Computed tomography of the spine; the image spans 412 mm across; sagittal reformat; Bone window (WL 400, WW 1800)
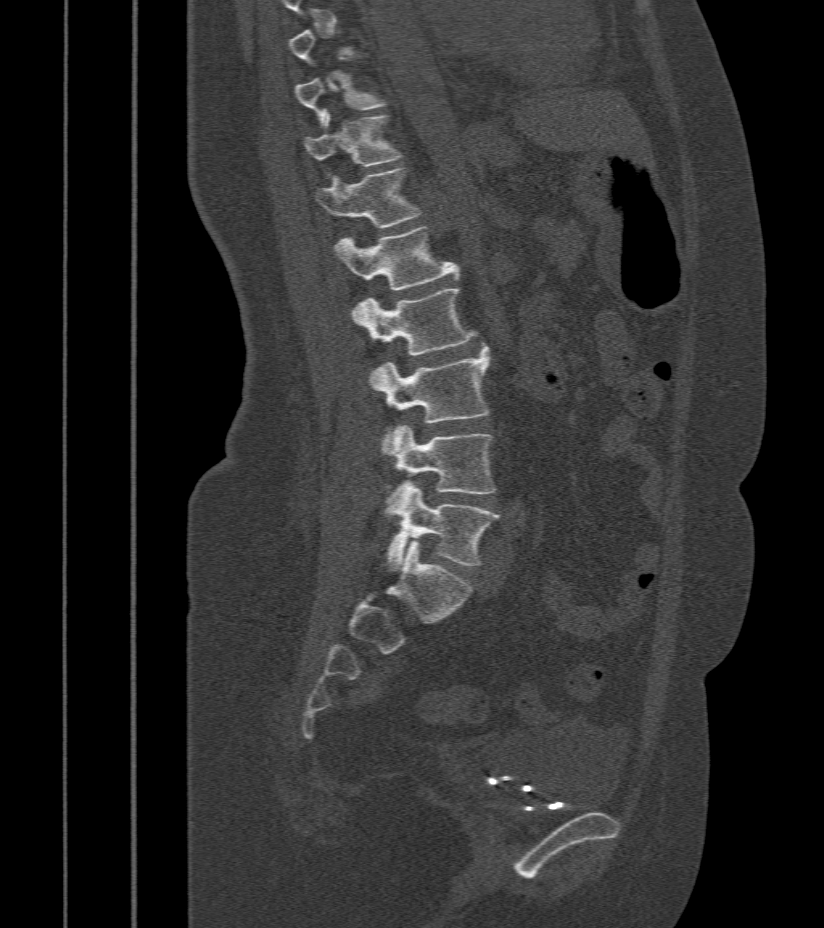 Bounding boxes as [x1, y1, x2, y2] in pixel coordinates. A vertebra is boxed only from the first to the last slice where its cross-section is at least a third of its largest; slices outside that range leave it without a box. Vertebrae labeled: L5 at [388, 483, 500, 568], L4 at [386, 425, 496, 514], L3 at [370, 347, 491, 456], L2 at [357, 289, 477, 382], L1 at [333, 227, 459, 290], T12 at [315, 167, 421, 228], T11 at [304, 111, 403, 180], T10 at [296, 73, 387, 123].